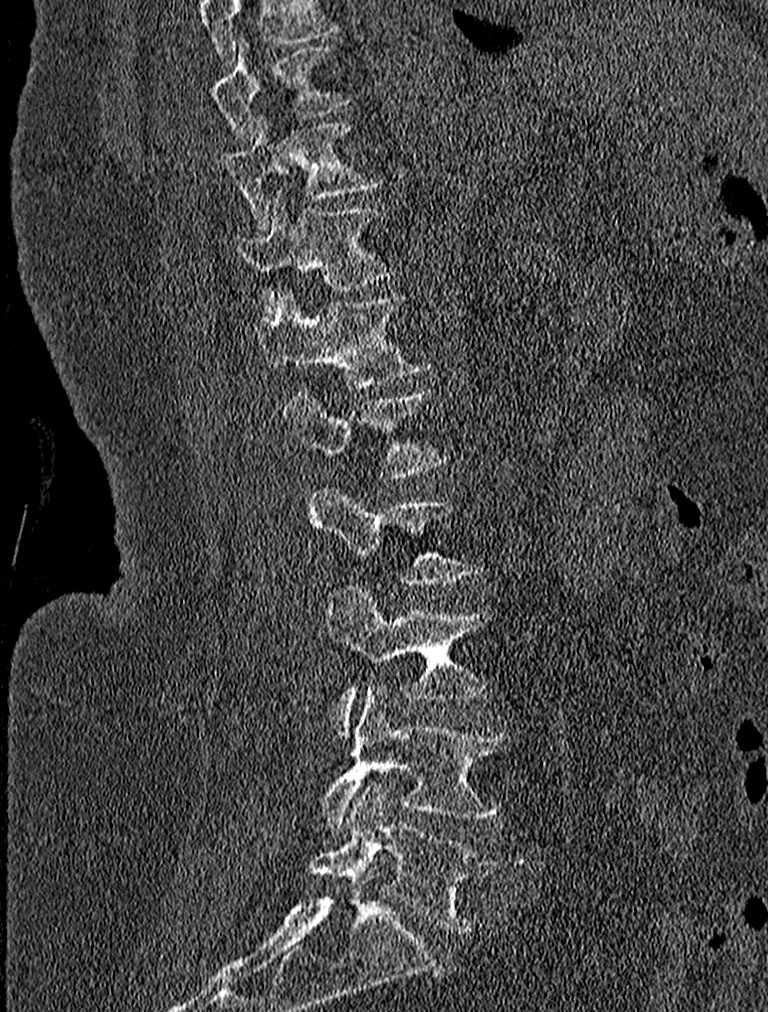
Spine CT. the image spans 227 mm across. sagittal view. W/L 1800/400 HU. 768x1012 px. Each row gives a vertebra's box as x1, y1, x2, y2 in pixels: top-left corner, then bottom-right corner.
This scan's labels start at T9 at the top and end at L5 at the bottom.
| vertebra | x1 | y1 | x2 | y2 |
|---|---|---|---|---|
| T9 | 212 | 38 | 353 | 141 |
| T10 | 222 | 116 | 380 | 223 |
| T11 | 235 | 190 | 394 | 317 |
| T12 | 260 | 288 | 434 | 389 |
| L1 | 283 | 385 | 444 | 476 |
| L2 | 310 | 484 | 482 | 587 |
| L3 | 327 | 586 | 487 | 734 |
| L4 | 320 | 685 | 512 | 833 |
| L5 | 307 | 783 | 495 | 931 |